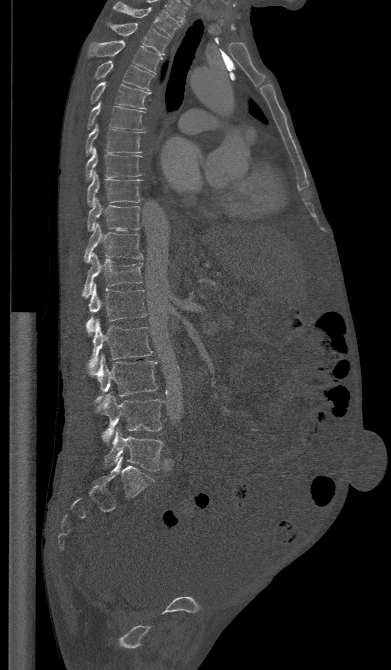 Computed tomography of the spine — sagittal view
Boxes are (x1, y1, x2, y2) in pixels.
Vertebra bounding boxes:
- L5: (104, 428, 163, 471)
- L4: (95, 393, 163, 443)
- L3: (89, 355, 157, 403)
- L2: (88, 320, 152, 375)
- L1: (86, 284, 146, 333)
- T12: (82, 253, 143, 297)
- T11: (84, 223, 142, 262)
- T10: (87, 198, 140, 231)
- T9: (87, 171, 141, 206)
- T8: (85, 148, 141, 180)
- T7: (85, 125, 145, 155)
- T6: (86, 102, 144, 129)
- T5: (90, 81, 150, 109)
- T4: (94, 60, 153, 90)
- T3: (88, 40, 162, 74)
- T2: (105, 21, 169, 55)
- T1: (113, 2, 180, 37)